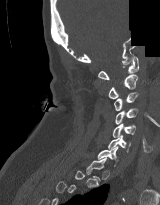
Spine computed tomography · sagittal view · an area of the scan was removed and filled with constant pixels
Each box given as x1,y1,x2,y2. A vertebra gets a box only on the slices from the first to the last where its cross-section is at least a third of its largest; on a slice outside that range it gets none. The labeled vertebrae in this slice are: C1 at x1=98, y1=56, x2=138, y2=79, C2 at x1=108, y1=74, x2=138, y2=99, C3 at x1=114, y1=92, x2=138, y2=110, C4 at x1=115, y1=108, x2=138, y2=124, C5 at x1=112, y1=123, x2=135, y2=137, C6 at x1=108, y1=135, x2=130, y2=152, C7 at x1=97, y1=146, x2=118, y2=166.